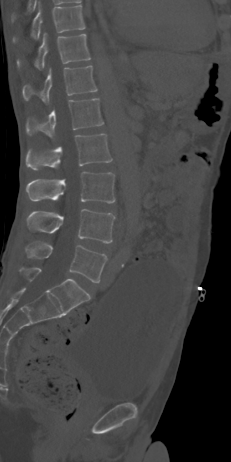

Spine CT · sagittal view · the image spans 231 mm across · Bone window (WL 400, WW 1800)
Boxes: x1:y1:x2:y2 in pixels.
L5: 26:242:107:282
L4: 27:209:115:243
L3: 26:172:115:203
L2: 26:133:112:170
L1: 26:98:103:137
T12: 22:65:97:103
T11: 16:34:90:69
T10: 12:5:85:42